CT spine · sagittal view · scan covers 16 annotated vertebrae
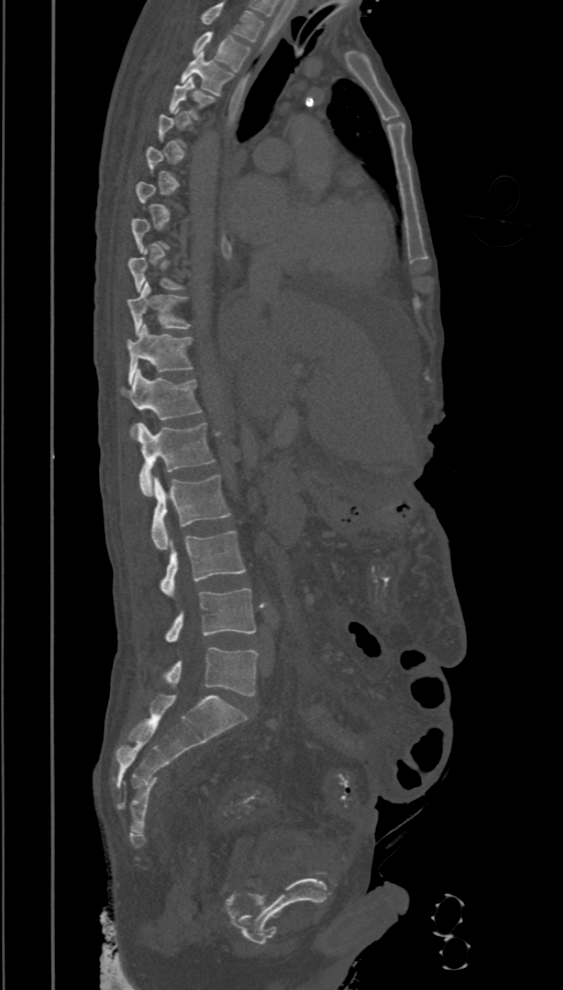
Box edges are left/top/right/bottom in pixels.
A vertebra is boxed only from the first to the last slice where its cross-section is at least a third of its largest; slices outside that range leave it without a box.
This scan's labels start at T2 at the top and end at L5 at the bottom.
L5: left=162, top=647, right=257, bottom=696
L4: left=164, top=587, right=256, bottom=642
L3: left=159, top=530, right=244, bottom=595
L2: left=152, top=475, right=230, bottom=549
L1: left=134, top=423, right=214, bottom=496
T12: left=121, top=370, right=201, bottom=437
T11: left=126, top=323, right=194, bottom=385
T10: left=128, top=282, right=191, bottom=335
T9: left=129, top=250, right=185, bottom=294
T4: left=168, top=77, right=214, bottom=118
T3: left=180, top=52, right=234, bottom=95
T2: left=192, top=31, right=251, bottom=70